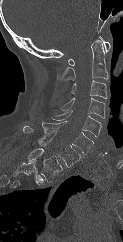
Computed tomography of the spine; sagittal view; image width 123 mm; 123x242 px

Each box is [x1, y1, x2, y2] in pixels: top-left corner, then bottom-right corner.
Labels in this scan begin with C1 at the top and end with T1 at the bottom.
{"vertebrae":{"C1":[68,36,110,65],"C2":[57,39,108,80],"C3":[70,80,107,98],"C4":[60,98,105,118],"C5":[51,110,101,137],"C6":[42,121,93,153],"C7":[23,126,82,167],"T1":[27,148,63,182]}}